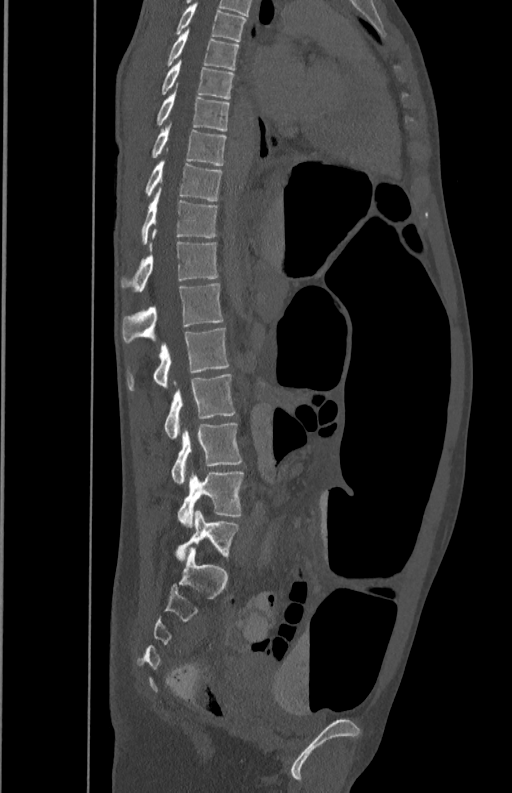
Spine CT. sagittal reformat. W/L 1800/400 HU. 512x793 px

Boxes: x1 y1 x2 y2 (pixel coords, space-separated).
Vertebra bounding boxes:
- L5: 177 471 243 527
- L4: 171 423 242 483
- L3: 164 374 236 439
- L2: 127 328 228 391
- L1: 121 283 223 343
- T12: 121 229 218 291
- T11: 142 188 217 243
- T10: 145 159 223 200
- T9: 152 122 226 165
- T8: 156 90 230 131
- T7: 162 59 234 98
- T6: 168 30 239 69
- T5: 177 1 246 41